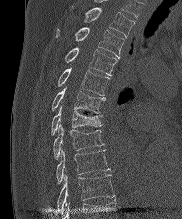 Spine computed tomography; sagittal view; Bone window (WL 400, WW 1800). Each box given as x1,y1,x2,y2.
Vertebra bounding boxes:
- T2: x1=84, y1=7, x2=134, y2=37
- T3: x1=56, y1=27, x2=124, y2=57
- T4: x1=65, y1=47, x2=117, y2=75
- T5: x1=57, y1=68, x2=109, y2=95
- T6: x1=51, y1=87, x2=105, y2=113
- T7: x1=50, y1=106, x2=102, y2=134
- T8: x1=53, y1=124, x2=104, y2=159
- T9: x1=56, y1=150, x2=110, y2=184
- T10: x1=57, y1=174, x2=114, y2=213